Spine computed tomography. Sagittal slice 83/135. 21 vertebrae labeled in this scan
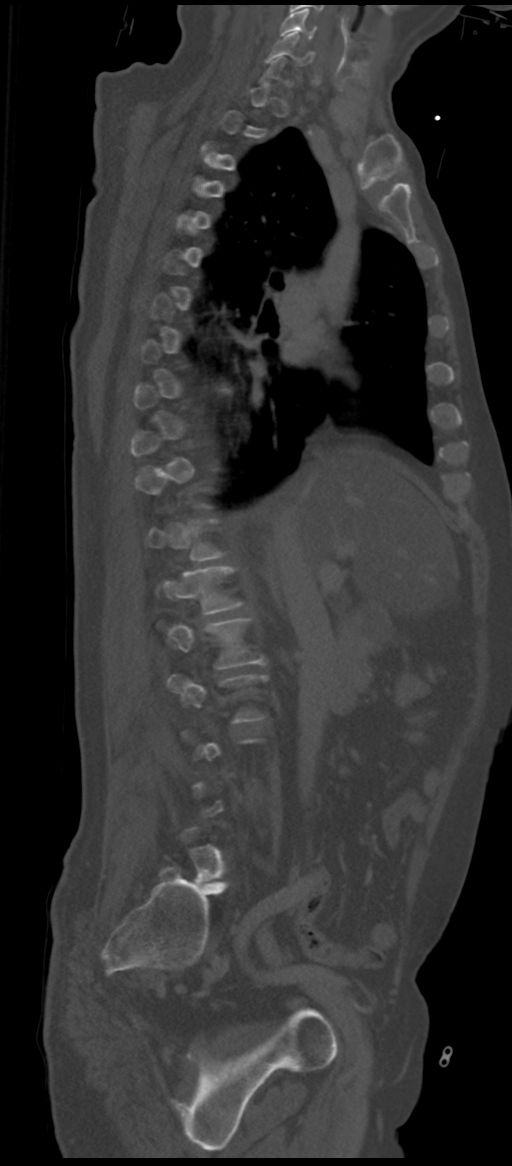
Box values are [left, top, right, bottom] in pixels.
A vertebra gets a box only on the slices from the first to the last where its cross-section is at least a third of its largest; on a slice outside that range it gets none.
{"vertebrae":{"L2":[167,618,264,668],"L1":[157,567,241,614],"C6":[269,32,312,65],"C5":[280,8,315,39]}}